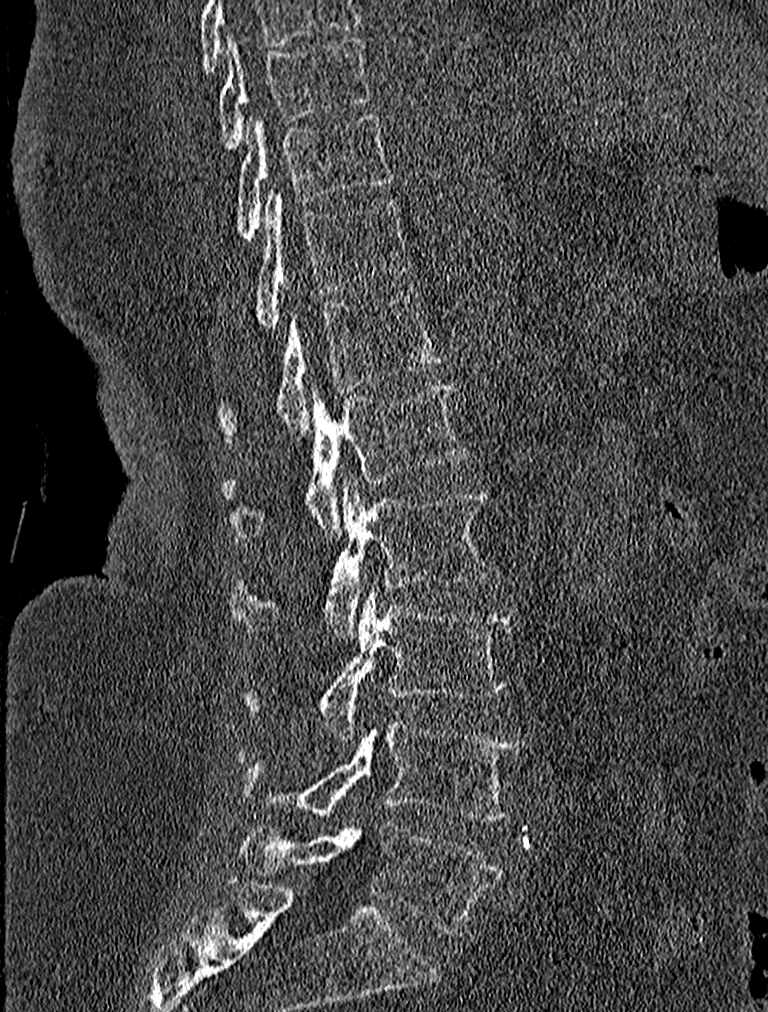

CT spine. sagittal reformat. 768x1012 px. Boxes: x1 y1 x2 y2 (pixel coords, space-separated). This scan's labels start at T9 at the top and end at L5 at the bottom. Vertebrae labeled: L5 at 236 821 502 935, L4 at 239 722 522 820, L3 at 242 588 519 739, L2 at 229 477 492 640, L1 at 224 382 468 543, T12 at 219 288 444 442, T11 at 253 190 411 329, T10 at 236 111 394 240, T9 at 215 38 370 148.